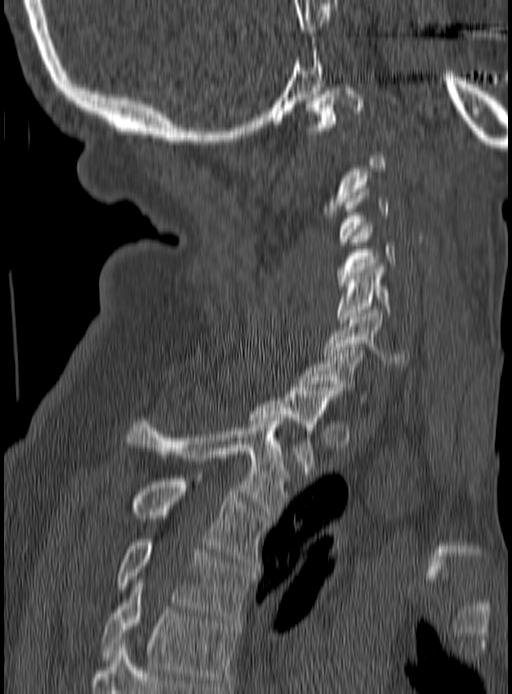

CT; image width 190 mm; sagittal view; 512x694 px
Boxes: x1 y1 x2 y2 (pixel coords, space-separated).
Each vertebra is boxed only on the slices from the first to the last where its cross-section reaches a third of its largest, so a slice outside that range leaves it unboxed.
T5: 101 583 237 686
T4: 117 539 253 622
T3: 130 478 267 565
T2: 125 418 285 514
T1: 249 387 339 471
C7: 300 347 368 403
C6: 323 310 411 366
C5: 337 266 391 322
C4: 336 226 395 289
C1: 306 84 364 134